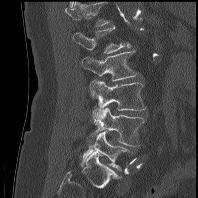

Spine CT; sagittal view; bone window

Boxes are (x1, y1, x2, y2) in pixels.
In this scan, the topmost labeled vertebra is L1 and the lowest is L5.
Vertebra bounding boxes:
- L5: (81, 131, 128, 170)
- L4: (90, 107, 145, 146)
- L3: (90, 81, 146, 110)
- L2: (81, 50, 138, 80)
- L1: (72, 26, 130, 53)